CT spine; sagittal reformat
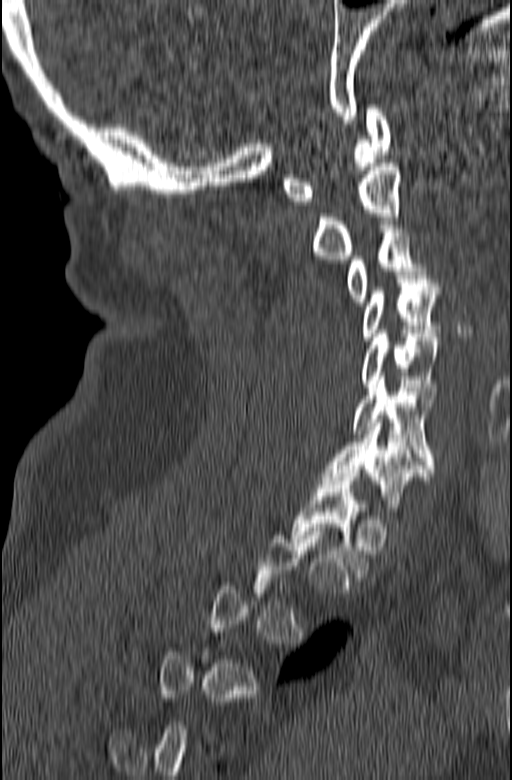 Boxes: x1:y1:x2:y2 in pixels.
Each vertebra is boxed only on the slices from the first to the last where its cross-section reaches a third of its largest, so a slice outside that range leaves it unboxed.
Vertebra bounding boxes:
- C1: 282:105:391:205
- C2: 311:159:400:259
- C3: 345:225:428:305
- C4: 361:275:441:340
- C5: 361:330:441:399
- C6: 352:376:434:468
- C7: 321:419:434:515
- T1: 291:469:370:577